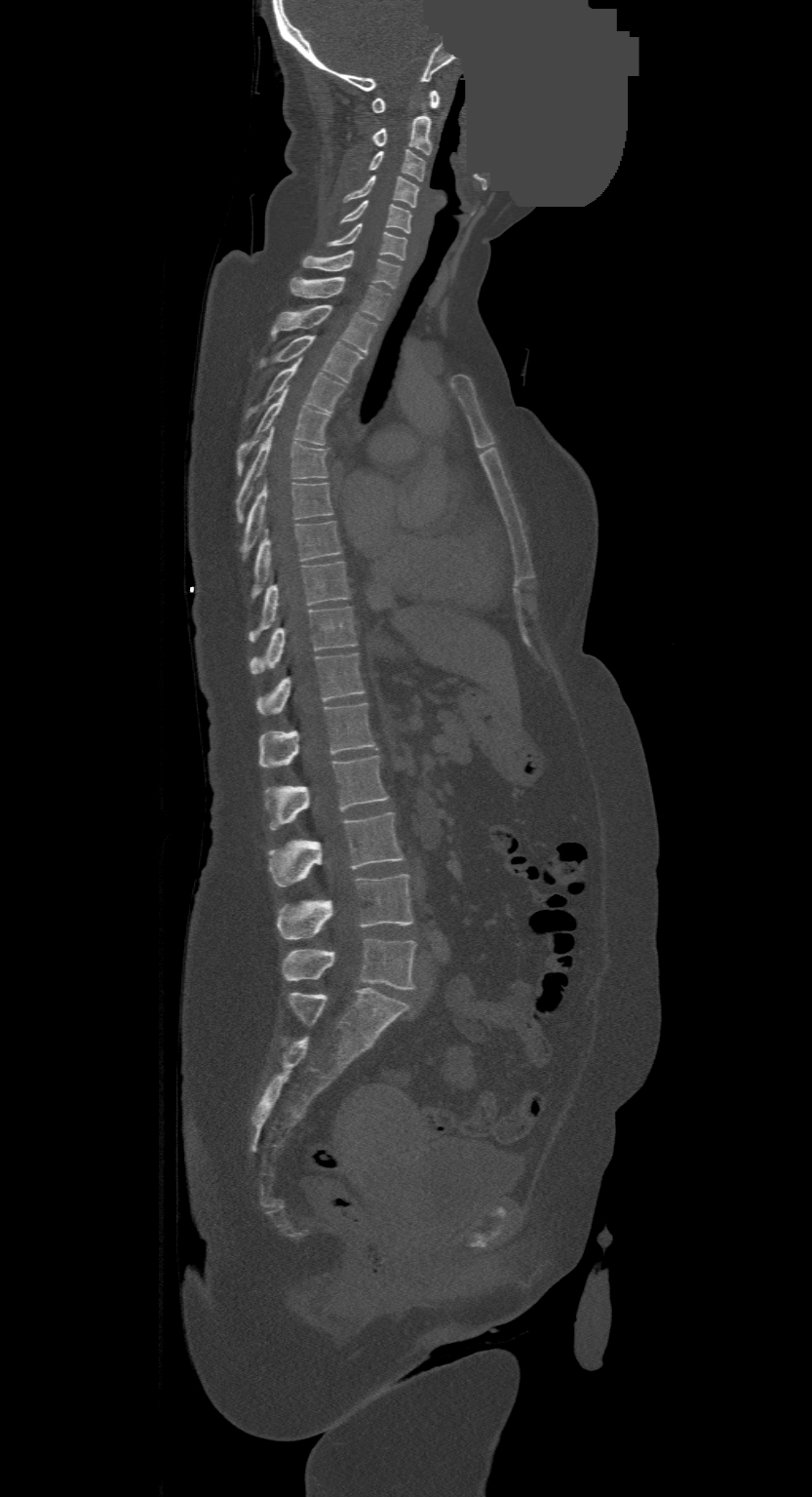 Spine computed tomography; sagittal view; W/L 1800/400 HU; 500 mm wide; a uniform gray block covers part of the image. Boxes: x1:y1:x2:y2 in pixels.
This scan's labels start at C1 at the top and end at L4 at the bottom.
Vertebra bounding boxes:
- L4: 283:938:416:989
- L3: 278:873:413:939
- L2: 270:811:404:886
- L1: 266:756:389:830
- T12: 260:702:376:767
- T11: 257:653:364:715
- T10: 251:607:356:674
- T9: 250:561:350:640
- T8: 252:521:342:596
- T7: 243:483:333:554
- T6: 237:429:328:521
- T5: 237:390:330:474
- T4: 246:360:345:422
- T3: 258:335:363:383
- T2: 271:304:378:354
- T1: 290:277:391:320
- C7: 301:251:402:289
- C6: 327:223:406:259
- C5: 339:200:411:233
- C4: 344:176:418:208
- C3: 368:148:424:181
- C2: 371:114:431:154
- C1: 371:90:439:113